Computed tomography of the spine; Sagittal slice 334/512; bone window; 512x609 px
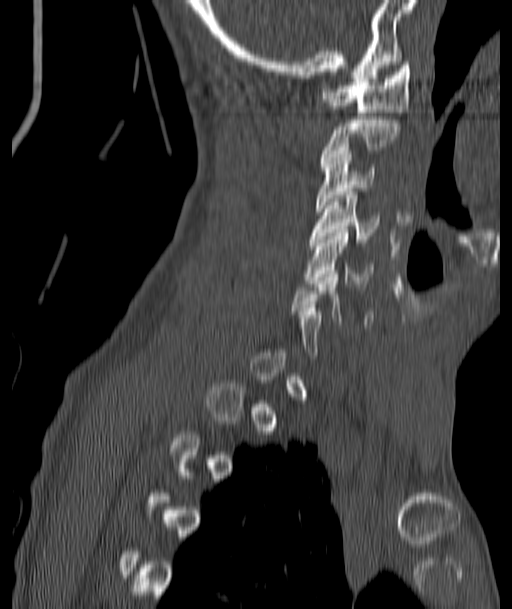

A vertebra gets a box only on the slices from the first to the last where its cross-section is at least a third of its largest; on a slice outside that range it gets none.
<vertebrae><v name="C1" x1="324" y1="62" x2="411" y2="115"/><v name="C2" x1="321" y1="116" x2="400" y2="163"/><v name="C3" x1="316" y1="147" x2="375" y2="211"/><v name="C4" x1="310" y1="192" x2="378" y2="242"/><v name="C5" x1="305" y1="229" x2="375" y2="286"/></vertebrae>